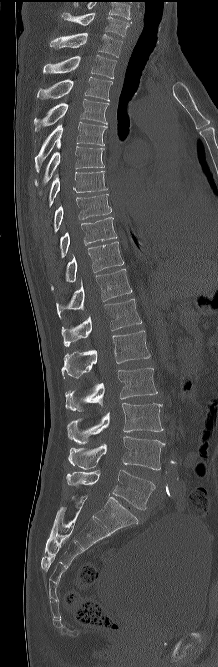 Spine computed tomography · sagittal view
Box edges are left/top/right/bottom in pixels. The highest labeled vertebra in this scan is C7; the lowest is L5. The labeled vertebrae in this slice are: C7 at left=62, top=13, right=131, bottom=37, T1 at left=49, top=33, right=122, bottom=57, T2 at left=43, top=54, right=116, bottom=78, T3 at left=37, top=77, right=112, bottom=101, T4 at left=34, top=99, right=108, bottom=130, T5 at left=35, top=121, right=107, bottom=172, T6 at left=35, top=146, right=104, bottom=186, T7 at left=49, top=171, right=108, bottom=207, T8 at left=54, top=194, right=111, bottom=232, T9 at left=60, top=217, right=117, bottom=257, T10 at left=51, top=241, right=123, bottom=290, T11 at left=56, top=269, right=132, bottom=319, T12 at left=61, top=299, right=141, bottom=346, L1 at left=61, top=330, right=150, bottom=378, L2 at left=65, top=368, right=157, bottom=411, L3 at left=67, top=402, right=163, bottom=445, L4 at left=68, top=436, right=165, bottom=470, L5 at left=66, top=470, right=155, bottom=509.